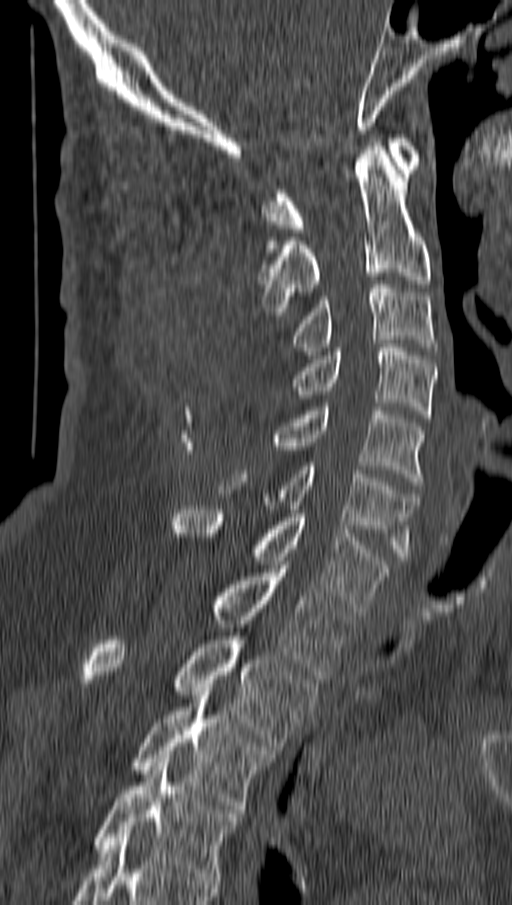

CT. sagittal view. Bone window (WL 400, WW 1800). 512x905 px
Each box given as x1,y1,x2,y2.
C1: x1=263, y1=134, x2=421, y2=232
C2: x1=260, y1=142, x2=430, y2=315
C3: x1=292, y1=280, x2=437, y2=355
C4: x1=292, y1=344, x2=436, y2=418
C5: x1=273, y1=403, x2=424, y2=485
C6: x1=218, y1=462, x2=417, y2=560
C7: x1=172, y1=506, x2=389, y2=611
T1: x1=210, y1=565, x2=354, y2=679
T2: x1=80, y1=632, x2=316, y2=750
T3: x1=131, y1=691, x2=275, y2=813
T4: x1=93, y1=759, x2=240, y2=880